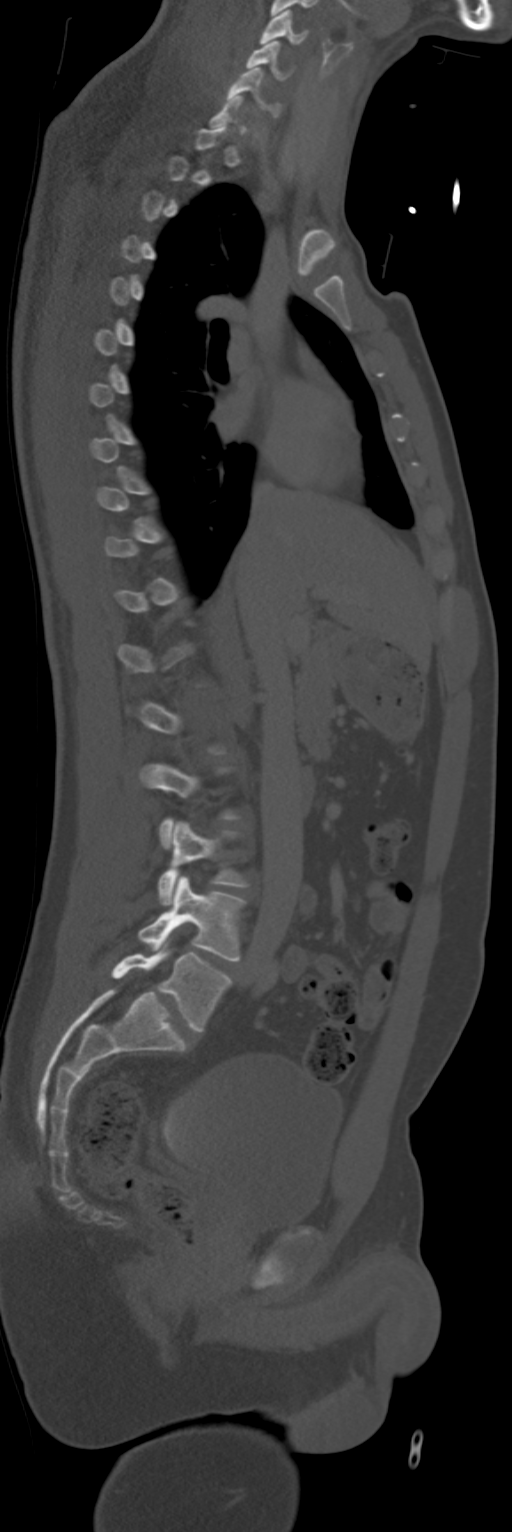
CT; sagittal view; bone-window reconstruction. Coordinates as <box>x1,y1,x2,y2</box>.
Each vertebra is boxed only on the slices from the first to the last where its cross-section reaches a third of its largest, so a slice outside that range leaves it unboxed.
Vertebra bounding boxes:
- C4: <box>260,10,307,43</box>
- C5: <box>247,41,288,78</box>
- C6: <box>227,67,264,107</box>
- L3: <box>159,822,248,905</box>
- L4: <box>138,875,244,960</box>
- L5: <box>111,948,231,1031</box>